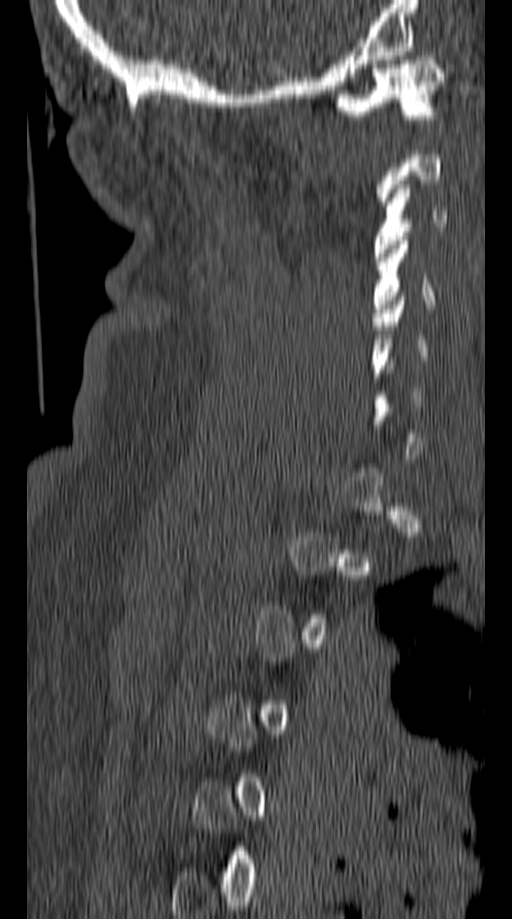

Spine CT · sagittal view · Bone window (WL 400, WW 1800)
Each box given as x1,y1,x2,y2.
Each vertebra is boxed only on the slices from the first to the last where its cross-section reaches a third of its largest, so a slice outside that range leaves it unboxed.
Vertebra bounding boxes:
- C1: x1=333, y1=56, x2=443, y2=119
- C3: x1=373, y1=180, x2=447, y2=257
- C4: x1=372, y1=236, x2=433, y2=317